Spine CT — sagittal plane, index 117 — bone-window reconstruction — scan covers 14 annotated vertebrae
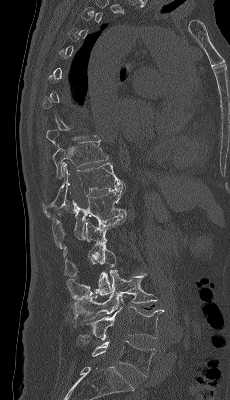

Each box is [x1, y1, x2, y2] in pixels: top-left corner, then bottom-right corner.
A vertebra is boxed only from the first to the last slice where its cross-section is at least a third of its largest; slices outside that range leave it without a box.
{"vertebrae":{"L5":[91,341,156,376],"L4":[78,306,164,342],"L3":[72,269,157,320],"L2":[67,244,116,299],"L1":[63,214,126,276],"T12":[52,184,127,248],"T11":[42,163,125,216],"T10":[52,140,108,178]}}